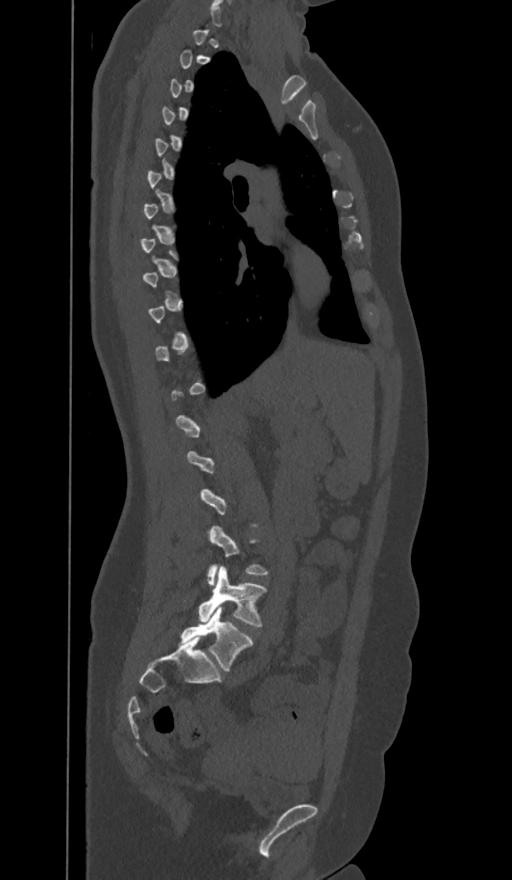

CT; sagittal view. Boxes are (x1, y1, x2, y2) in pixels.
Each vertebra is boxed only on the slices from the first to the last where its cross-section reaches a third of its largest, so a slice outside that range leaves it unboxed.
These labels give the spine a sixth lumbar vertebra, L6, below L5.
Vertebra bounding boxes:
- L6: (178, 606, 252, 670)
- L5: (198, 567, 266, 627)